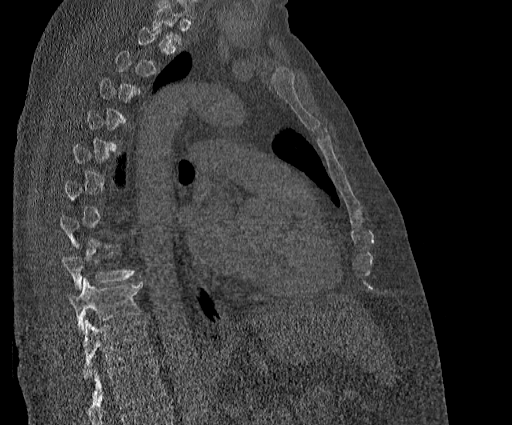

Spine CT; sagittal reformat; the image is 384 mm wide. Bounding boxes as [x1, y1, x2, y2] in pixel coordinates.
A vertebra gets a box only on the slices from the first to the last where its cross-section is at least a third of its largest; on a slice outside that range it gets none.
In this scan, the topmost labeled vertebra is T2 and the lowest is T11.
Vertebra bounding boxes:
- T9: [61, 257, 136, 290]
- T10: [68, 275, 143, 331]
- T11: [70, 320, 153, 378]